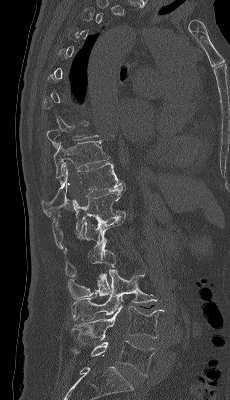
CT, spine. sagittal view. W/L 1800/400 HU
Each box is [x1, y1, x2, y2] in pixels: top-left corner, then bottom-right corner.
Not every vertebra on this slice has a box: a vertebra is boxed only from the first to the last slice where its cross-section is at least a third of its largest, and this slice is outside that range for at least one of them.
{"vertebrae":{"L5":[71,340,156,376],"L4":[70,305,163,342],"L3":[71,269,157,320],"L2":[68,244,115,299],"L1":[64,214,126,277],"T12":[52,184,126,248],"T11":[41,163,124,216],"T10":[53,140,109,178]}}